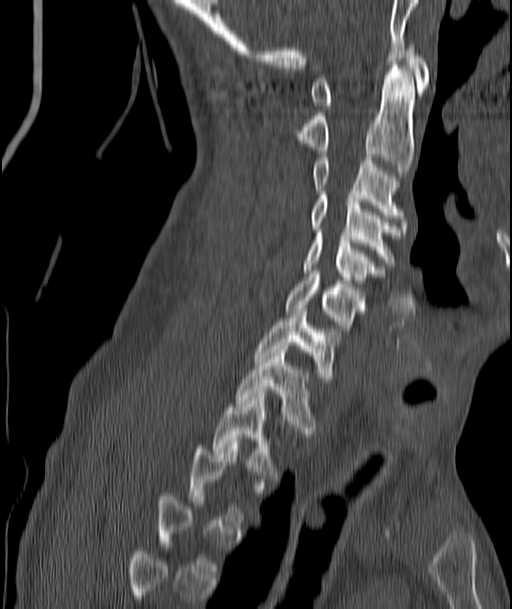
CT. sagittal view. Bone window (WL 400, WW 1800). image 187 mm wide

A vertebra is boxed only from the first to the last slice where its cross-section is at least a third of its largest; slices outside that range leave it without a box.
<vertebrae><v name="C1" x1="310" y1="44" x2="430" y2="109"/><v name="C2" x1="299" y1="65" x2="414" y2="174"/><v name="C3" x1="313" y1="157" x2="402" y2="218"/><v name="C4" x1="310" y1="192" x2="397" y2="263"/><v name="C5" x1="305" y1="233" x2="378" y2="286"/><v name="C6" x1="286" y1="274" x2="364" y2="331"/><v name="C7" x1="255" y1="308" x2="337" y2="382"/><v name="T1" x1="236" y1="349" x2="315" y2="437"/><v name="T2" x1="214" y1="394" x2="274" y2="471"/></vertebrae>